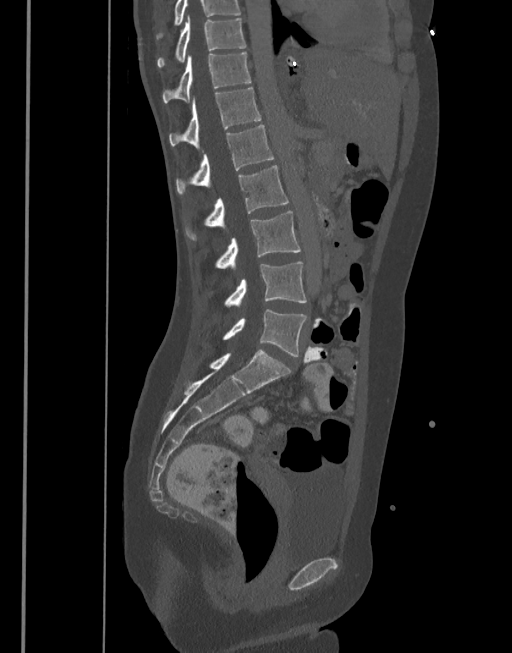 CT. sagittal view. Bone window (WL 400, WW 1800). 512x653 px
Labels in this scan begin with T10 at the top and end with L5 at the bottom.
<vertebrae><v name="L5" x1="208" y1="309" x2="307" y2="357"/><v name="L4" x1="224" y1="262" x2="307" y2="306"/><v name="L3" x1="214" y1="211" x2="300" y2="268"/><v name="L2" x1="185" y1="165" x2="288" y2="240"/><v name="L1" x1="176" y1="125" x2="275" y2="195"/><v name="T12" x1="168" y1="88" x2="261" y2="148"/><v name="T11" x1="161" y1="53" x2="251" y2="103"/><v name="T10" x1="157" y1="17" x2="246" y2="67"/></vertebrae>